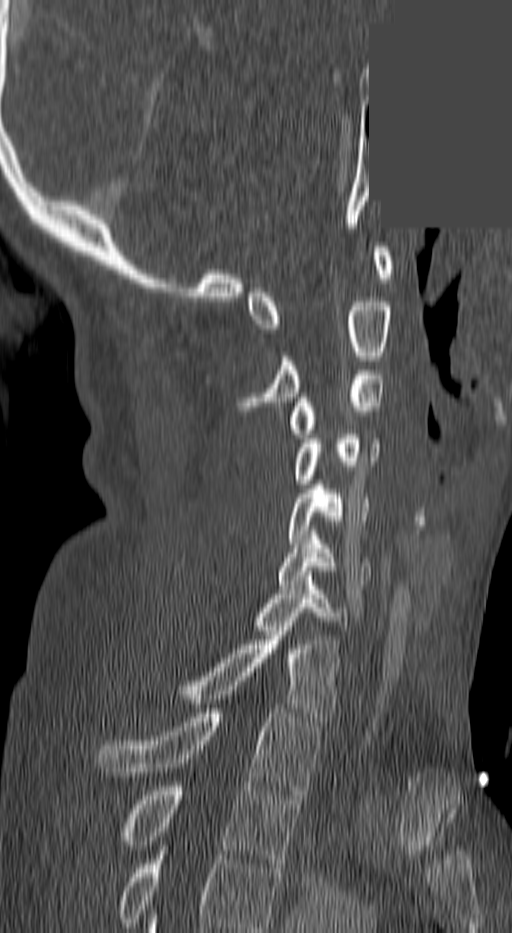
Spine CT. sagittal view. bone-window reconstruction. a region is masked with a constant gray value. Box edges are left/top/right/bottom in pixels. In this scan, the topmost labeled vertebra is C1 and the lowest is T3. Vertebrae labeled: C1 at left=246, top=247, right=392, bottom=333, C2 at left=243, top=302, right=392, bottom=410, C3 at left=289, top=370, right=384, bottom=438, C4 at left=292, top=430, right=377, bottom=484, C5 at left=288, top=480, right=370, bottom=548, C6 at left=279, top=535, right=372, bottom=584, C7 at left=254, top=576, right=351, bottom=630, T1 at left=181, top=631, right=338, bottom=721, T2 at left=96, top=709, right=319, bottom=794, T3 at left=122, top=786, right=297, bottom=868.